Spine CT; sagittal reformat; bone-window reconstruction; scan covers 8 annotated vertebrae
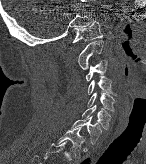
Boxes: x1 y1 x2 y2 (pixel coords, space-separated).
C1: 72 20 102 42
C2: 78 40 103 69
C3: 85 59 107 81
C4: 88 76 116 95
C5: 87 92 115 111
C6: 82 105 110 129
C7: 70 116 101 145
T1: 56 127 84 159